Spine CT · sagittal view · Bone window (WL 400, WW 1800) · scan covers 20 annotated vertebrae
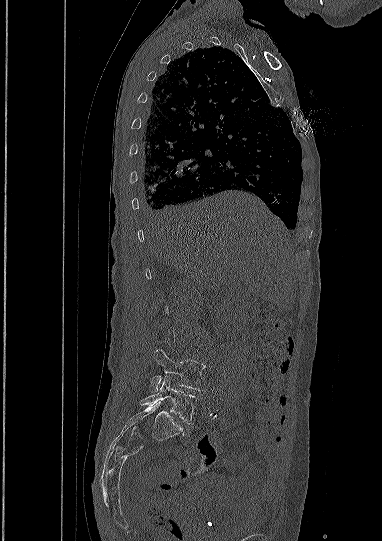

Each vertebra maps to its box as [x1, y1, x2, y2], the pixel coordinates of its top-left and bottom-right corners.
Each vertebra is boxed only on the slices from the first to the last where its cross-section reaches a third of its largest, so a slice outside that range leaves it unboxed.
{"vertebrae":{"L4":[151,350,205,391],"L5":[140,376,196,424]}}